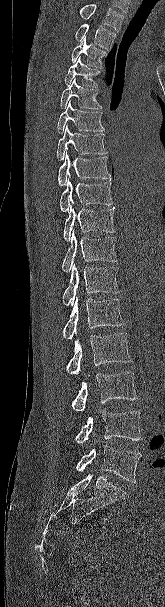 CT spine; sagittal view; bone window

Boxes: x1 y1 x2 y2 (pixel coords, space-separated).
A vertebra cut off by the top edge of the scan is not labeled and has no box.
Vertebra bounding boxes:
- L5: 76 445 141 482
- L4: 75 411 141 444
- L3: 71 371 137 411
- L2: 65 332 132 375
- L1: 62 296 123 340
- T12: 62 263 119 306
- T11: 62 230 117 272
- T10: 63 204 115 241
- T9: 59 175 112 212
- T8: 57 151 110 185
- T7: 56 125 107 160
- T6: 57 101 104 133
- T5: 60 78 101 109
- T4: 64 57 100 86
- T3: 71 36 107 67
- T2: 75 24 116 51